CT, spine — Sagittal slice 231/512 — scan covers 8 annotated vertebrae
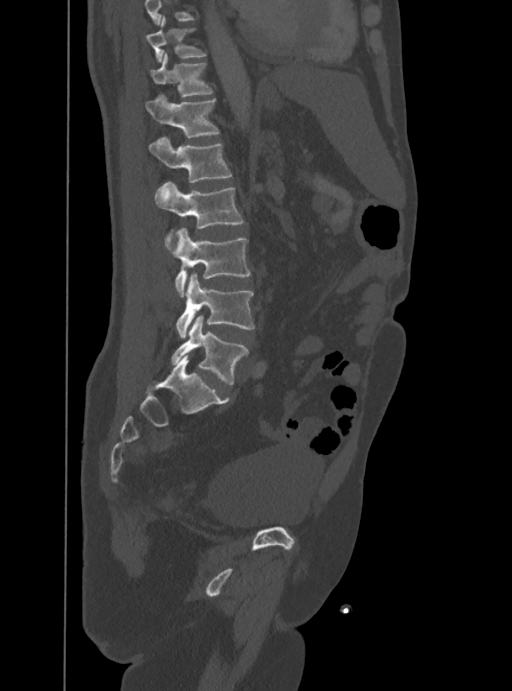
Each box is [x1, y1, x2, y2] in pixels: top-left corner, then bottom-right corner.
No box is given to a vertebra that the top edge of the scan cuts off.
{"vertebrae":{"T10":[146,15,206,62],"T11":[150,52,213,96],"T12":[145,95,219,138],"L1":[149,137,231,182],"L2":[154,182,243,248],"L3":[173,228,250,296],"L4":[177,273,254,337],"L5":[171,315,248,384]}}